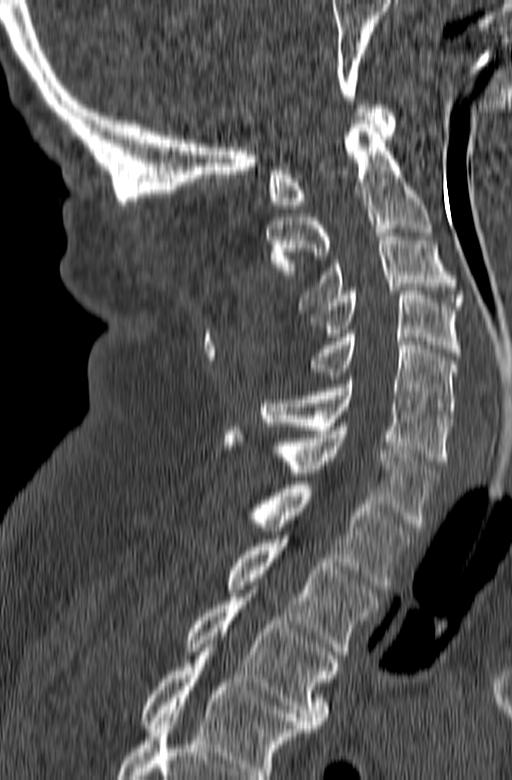 CT, spine. sagittal view. Bone window (WL 400, WW 1800)
Bounding boxes as [x1, y1, x2, y2] in pixel coordinates.
Labels in this scan begin with C1 at the top and end with T3 at the bottom.
T3: [185, 597, 339, 728]
T2: [228, 539, 379, 658]
T1: [250, 481, 414, 589]
C7: [224, 427, 438, 527]
C6: [260, 380, 452, 464]
C5: [302, 334, 456, 418]
C4: [305, 291, 460, 356]
C3: [299, 229, 464, 309]
C2: [267, 120, 431, 278]
C1: [268, 105, 396, 208]